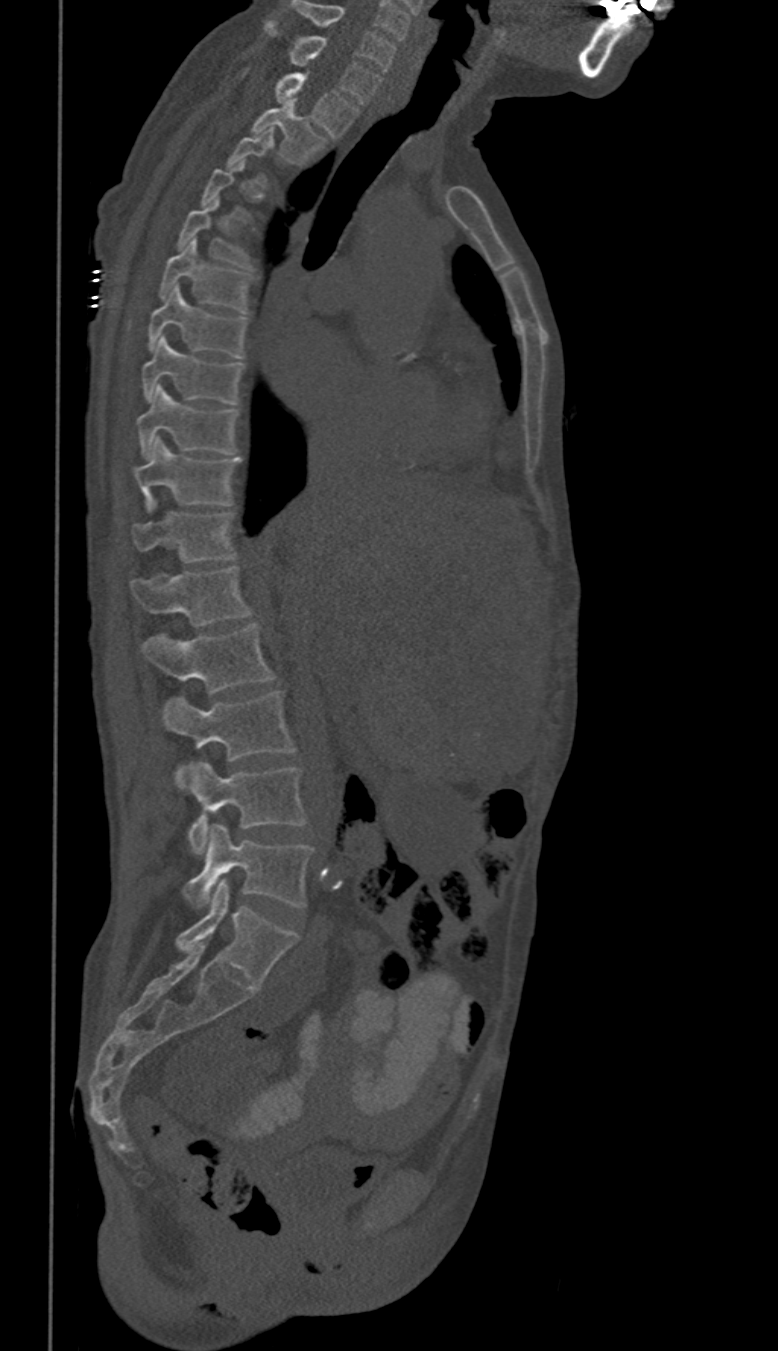 CT, spine · sagittal reformat · bone window · 778x1351 px
A vertebra is boxed only from the first to the last slice where its cross-section is at least a third of its largest; slices outside that range leave it without a box.
These labels give this spine no T12: after T11 the next vertebra is L1.
<vertebrae><v name="L5" x1="184" y1="825" x2="312" y2="908"/><v name="L4" x1="188" y1="763" x2="306" y2="853"/><v name="L3" x1="163" y1="692" x2="294" y2="788"/><v name="L2" x1="141" y1="623" x2="274" y2="693"/><v name="L1" x1="131" y1="567" x2="250" y2="626"/><v name="T11" x1="134" y1="512" x2="236" y2="562"/><v name="T10" x1="135" y1="438" x2="241" y2="508"/><v name="T9" x1="137" y1="387" x2="239" y2="459"/><v name="T8" x1="141" y1="336" x2="244" y2="404"/><v name="T7" x1="149" y1="285" x2="248" y2="357"/><v name="T6" x1="160" y1="238" x2="253" y2="311"/><v name="T5" x1="178" y1="198" x2="250" y2="266"/><v name="T2" x1="254" y1="103" x2="326" y2="164"/><v name="T1" x1="275" y1="72" x2="359" y2="137"/><v name="C7" x1="266" y1="20" x2="380" y2="104"/><v name="C6" x1="290" y1="1" x2="394" y2="71"/></vertebrae>